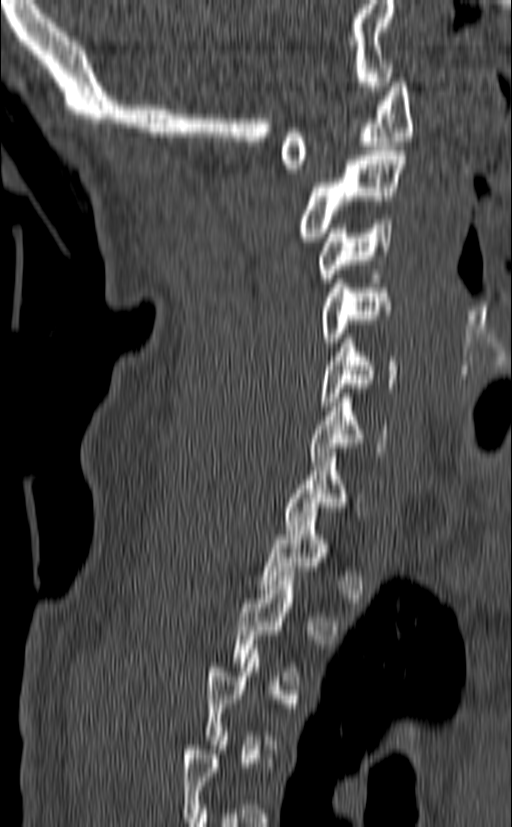
CT, spine · 140 mm image width · sagittal reformat · Bone window (WL 400, WW 1800)
In the table, x1 and y1 are a box's top-left corner and x2 and y2 its bottom-right corner, in pixels.
A vertebra is boxed only from the first to the last slice where its cross-section is at least a third of its largest; slices outside that range leave it without a box.
| vertebra | x1 | y1 | x2 | y2 |
|---|---|---|---|---|
| C1 | 281 | 78 | 413 | 173 |
| C2 | 298 | 146 | 407 | 241 |
| C3 | 319 | 219 | 392 | 282 |
| C4 | 320 | 265 | 393 | 346 |
| C5 | 319 | 334 | 399 | 406 |
| C6 | 309 | 393 | 388 | 461 |
| C7 | 283 | 448 | 362 | 534 |